CT — the image is 461 mm wide — sagittal reformat
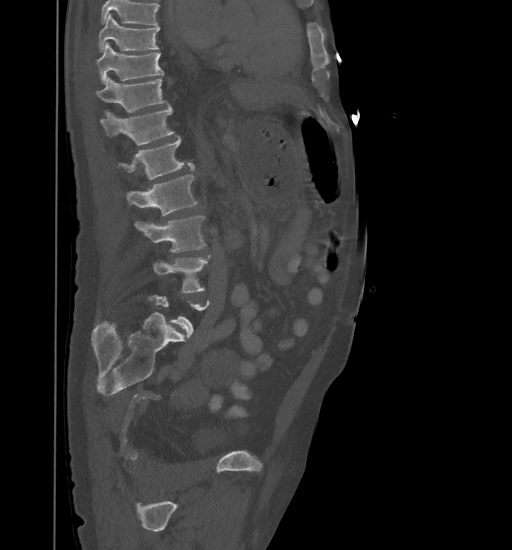 Each row gives a vertebra's box as x1, y1, x2, y2 in pixels: top-left corner, then bottom-right corner.
A vertebra is boxed only from the first to the last slice where its cross-section is at least a third of its largest; slices outside that range leave it without a box.
Where the top of the scan cuts through a vertebra, that vertebra gets no label or box.
| vertebra | x1 | y1 | x2 | y2 |
|---|---|---|---|---|
| L4 | 152 | 255 | 211 | 292 |
| L3 | 135 | 216 | 206 | 251 |
| L2 | 126 | 175 | 197 | 216 |
| L1 | 118 | 136 | 194 | 179 |
| T12 | 100 | 106 | 173 | 145 |
| T11 | 96 | 77 | 166 | 115 |
| T10 | 96 | 42 | 162 | 84 |
| T9 | 99 | 13 | 159 | 51 |